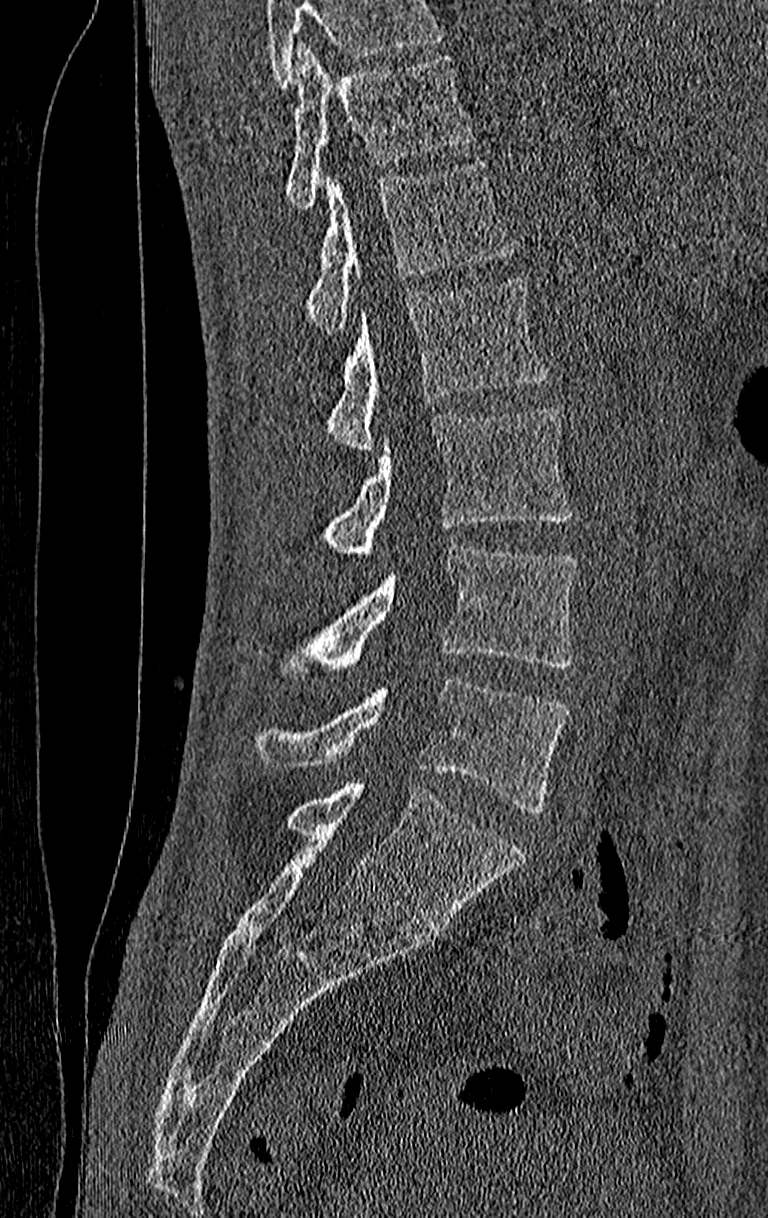

CT — sagittal view — W/L 1800/400 HU — 768x1218 px
Boxes: x1:y1:x2:y2 in pixels.
Vertebrae that run past the top of the scan are left unlabeled.
This scan's labels start at T11 at the top and end at L4 at the bottom.
Vertebra bounding boxes:
- L4: 255:678:568:812
- L3: 284:546:575:680
- L2: 324:406:572:560
- L1: 328:275:546:453
- T12: 306:161:517:333
- T11: 284:44:473:208